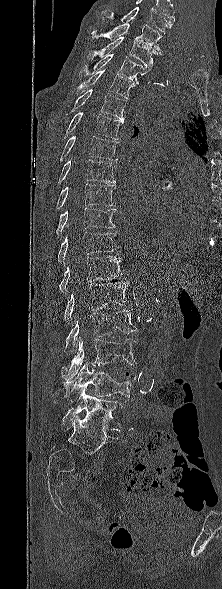

CT, spine — sagittal view — bone-window reconstruction. Bounding boxes as [x1, y1, x2, y2] in pixel coordinates.
This scan's labels start at T1 at the top and end at L5 at the bottom.
Vertebra bounding boxes:
- T1: [91, 23, 162, 54]
- T2: [87, 37, 157, 68]
- T3: [83, 53, 150, 83]
- T4: [75, 69, 137, 99]
- T5: [66, 89, 126, 120]
- T6: [64, 112, 123, 139]
- T7: [60, 136, 117, 161]
- T8: [58, 159, 116, 184]
- T9: [56, 183, 116, 210]
- T10: [56, 207, 116, 237]
- T11: [57, 231, 117, 263]
- T12: [59, 257, 123, 293]
- L1: [64, 282, 131, 326]
- L2: [65, 309, 138, 354]
- L3: [61, 337, 134, 380]
- L4: [62, 363, 136, 405]
- L5: [61, 393, 122, 431]